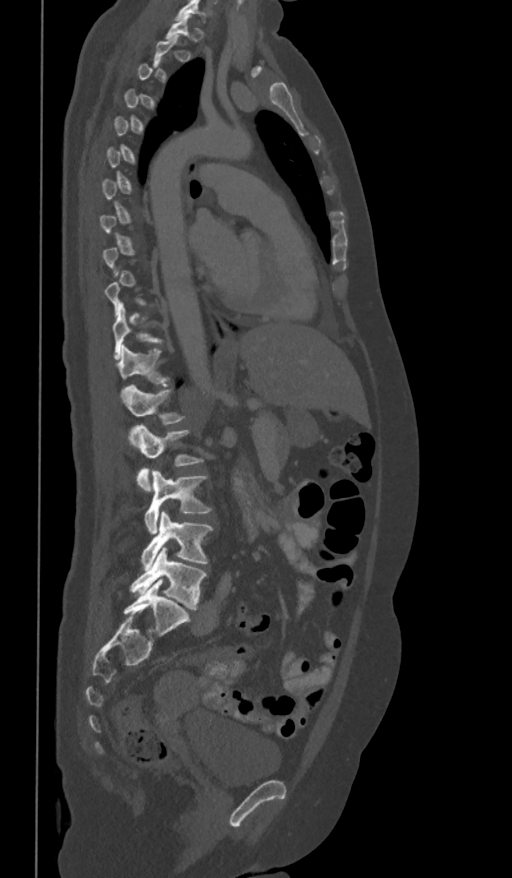 CT spine · sagittal view · 361 mm wide
Each box given as x1,y1,x2,y2.
Each vertebra is boxed only on the slices from the first to the last where its cross-section reaches a third of its largest, so a slice outside that range leaves it unboxed.
| vertebra | x1 | y1 | x2 | y2 |
|---|---|---|---|---|
| T11 | 113 | 304 | 162 | 358 |
| T12 | 118 | 345 | 165 | 396 |
| L1 | 123 | 384 | 186 | 444 |
| L2 | 136 | 425 | 202 | 492 |
| L3 | 144 | 470 | 212 | 534 |
| L4 | 142 | 511 | 213 | 568 |
| L5 | 130 | 548 | 207 | 609 |